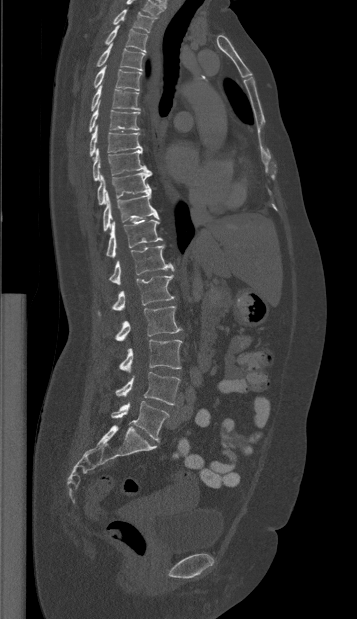

Spine computed tomography. sagittal view. 357 mm image width

Boxes: x1 y1 x2 y2 (pixel coords, space-separated).
T1: 113 9 156 32
T2: 105 25 147 52
T3: 96 43 145 70
T4: 93 65 141 91
T5: 91 85 139 111
T6: 89 102 139 132
T7: 89 126 142 156
T8: 93 148 151 180
T9: 97 172 151 205
T10: 103 191 159 232
T11: 106 220 162 258
T12: 109 245 174 284
L1: 98 275 173 315
L2: 115 306 181 341
L3: 119 339 181 372
L4: 115 372 180 405
L5: 111 401 168 440